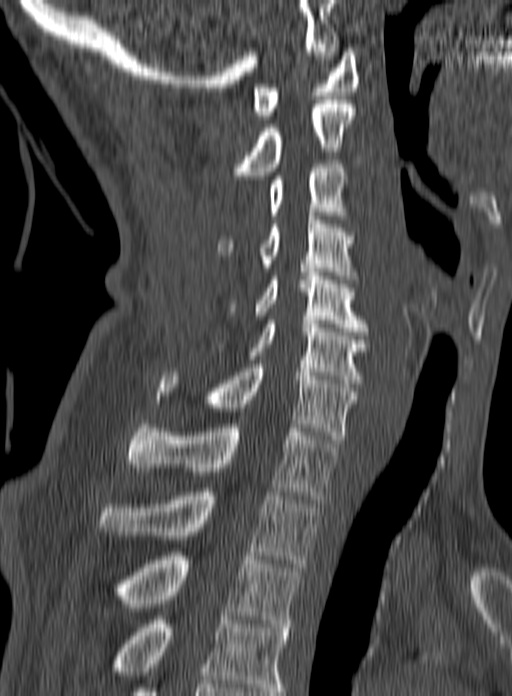
Spine CT · the image is 160 mm wide · sagittal view
Each row gives a vertebra's box as x1, y1, x2, y2 in pixels: top-left corner, then bottom-right corner.
In this scan, the topmost labeled vertebra is C1 and the lowest is T3.
| vertebra | x1 | y1 | x2 | y2 |
|---|---|---|---|---|
| T3 | 110 | 552 | 301 | 627 |
| T2 | 97 | 488 | 317 | 567 |
| T1 | 126 | 420 | 339 | 499 |
| C7 | 161 | 364 | 357 | 443 |
| C6 | 247 | 320 | 368 | 383 |
| C5 | 229 | 268 | 368 | 335 |
| C4 | 218 | 212 | 355 | 279 |
| C3 | 270 | 160 | 346 | 219 |
| C2 | 233 | 100 | 355 | 179 |
| C1 | 253 | 48 | 359 | 119 |